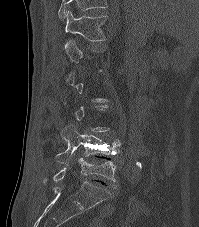 Spine computed tomography — sagittal view — bone window

Coordinates as <box>x1,y1,x2,y2</box>.
A vertebra is boxed only from the first to the last slice where its cross-section is at least a third of its largest; slices outside that range leave it without a box.
Labels in this scan begin with T12 at the top and end with L5 at the bottom.
L5: <box>42,158,116,182</box>
L4: <box>54,124,120,166</box>
T12: <box>64,10,107,50</box>